CT spine · sagittal view · image 350 mm wide · bone window · 512x756 px
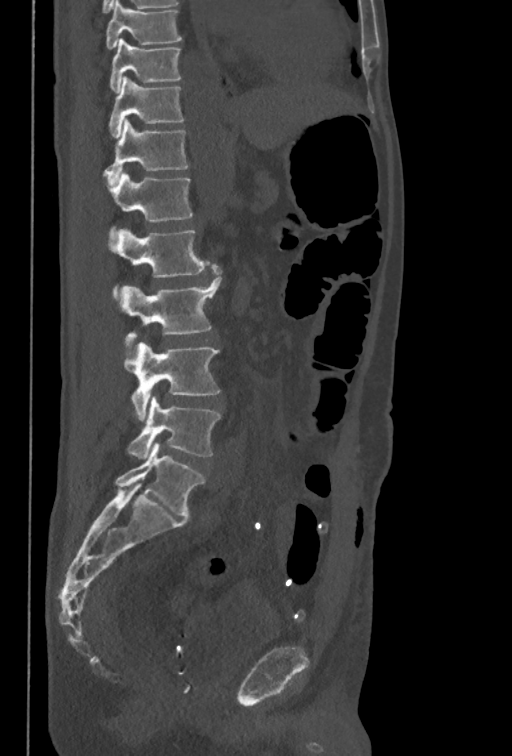 Each box given as x1,y1,x2,y2.
Labels in this scan begin with T10 at the top and end with L5 at the bottom.
Vertebra bounding boxes:
- L5: x1=127, y1=396, x2=220, y2=458
- L4: x1=123, y1=342, x2=220, y2=420
- L3: x1=117, y1=263, x2=221, y2=344
- L2: x1=107, y1=228, x2=209, y2=297
- L1: x1=107, y1=172, x2=192, y2=235
- T12: x1=102, y1=118, x2=187, y2=185
- T11: x1=109, y1=76, x2=183, y2=137
- T10: x1=109, y1=38, x2=180, y2=92